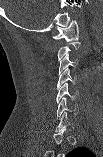

Computed tomography of the spine; sagittal view; 103x157 px; image 103 mm wide

A vertebra is boxed only from the first to the last slice where its cross-section is at least a third of its largest; slices outside that range leave it without a box.
The highest labeled vertebra in this scan is C1; the lowest is C7.
<vertebrae><v name="C1" x1="52" y1="20" x2="78" y2="41"/><v name="C3" x1="58" y1="53" x2="77" y2="75"/><v name="C4" x1="57" y1="68" x2="76" y2="89"/><v name="C5" x1="56" y1="83" x2="78" y2="103"/><v name="C6" x1="57" y1="97" x2="77" y2="119"/><v name="C7" x1="55" y1="111" x2="73" y2="132"/></vertebrae>